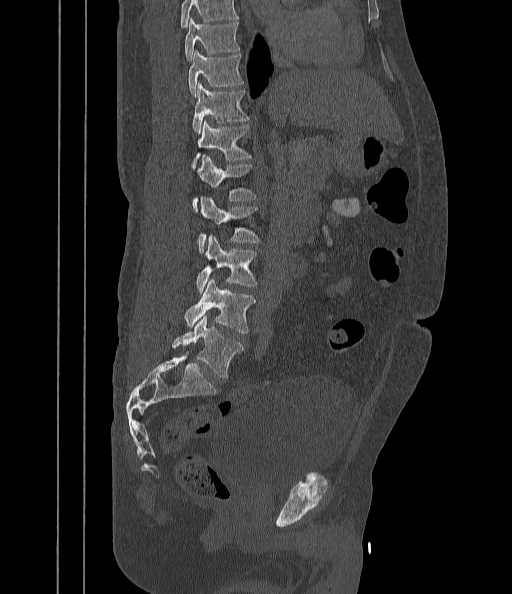

Spine computed tomography; sagittal reformat; W/L 1800/400 HU; 512x594 px
Each box given as x1,y1,x2,y2.
A vertebra cut off by the top edge of the scan is not labeled and has no box.
L5: x1=173, y1=316, x2=243, y2=378
L4: x1=184, y1=280, x2=256, y2=333
L3: x1=196, y1=235, x2=257, y2=293
L2: x1=198, y1=196, x2=260, y2=253
L1: x1=193, y1=155, x2=256, y2=211
T12: x1=192, y1=120, x2=251, y2=169
T11: x1=192, y1=82, x2=249, y2=133
T10: x1=188, y1=50, x2=243, y2=96
T9: x1=184, y1=19, x2=240, y2=60